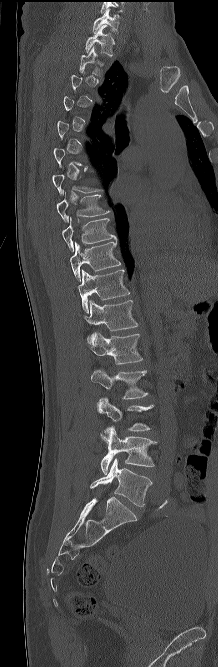

Spine CT. sagittal reformat
Columns x1, y1, x2, y2 give each box's top-left and bottom-right pixels.
A vertebra gets a box only on the slices from the first to the last where its cross-section is at least a third of its largest; on a slice outside that range it gets none.
| vertebra | x1 | y1 | x2 | y2 |
|---|---|---|---|---|
| C7 | 93 | 8 | 119 | 32 |
| T1 | 85 | 25 | 114 | 56 |
| T2 | 79 | 46 | 101 | 76 |
| T8 | 57 | 192 | 109 | 222 |
| T9 | 62 | 217 | 116 | 251 |
| T10 | 70 | 241 | 120 | 281 |
| T11 | 78 | 269 | 130 | 313 |
| T12 | 84 | 300 | 138 | 331 |
| L1 | 87 | 332 | 143 | 364 |
| L2 | 91 | 368 | 148 | 399 |
| L3 | 97 | 397 | 154 | 431 |
| L4 | 100 | 425 | 157 | 475 |
| L5 | 90 | 458 | 152 | 506 |